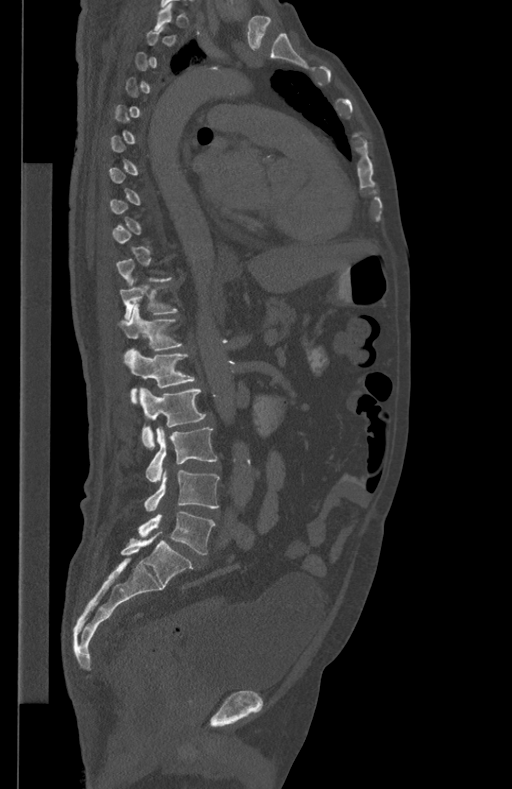 Spine CT — 434 mm image width — sagittal view — Bone window (WL 400, WW 1800)
Boxes: x1:y1:x2:y2 in pixels. Not every vertebra on this slice has a box: a vertebra is boxed only from the first to the last slice where its cross-section is at least a third of its largest, and this slice is outside that range for at least one of them. 7 vertebrae labeled — L5 at 138:512:215:554; L4 at 144:470:220:511; L3 at 145:427:217:481; L2 at 140:388:205:448; L1 at 127:347:195:404; T12 at 119:303:183:360; T11 at 120:278:177:320.